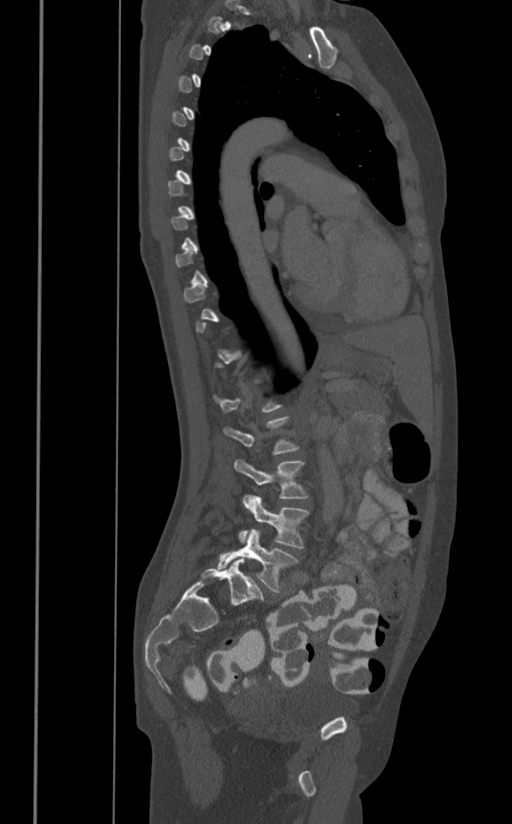 CT · sagittal view · W/L 1800/400 HU · image width 391 mm. In the table, x1 and y1 are a box's top-left corner and x2 and y2 its bottom-right corner, in pixels.
Each vertebra is boxed only on the slices from the first to the last where its cross-section reaches a third of its largest, so a slice outside that range leaves it unboxed.
| vertebra | x1 | y1 | x2 | y2 |
|---|---|---|---|---|
| L5 | 217 | 529 | 297 | 592 |
| L4 | 238 | 495 | 308 | 548 |
| L3 | 234 | 458 | 308 | 498 |